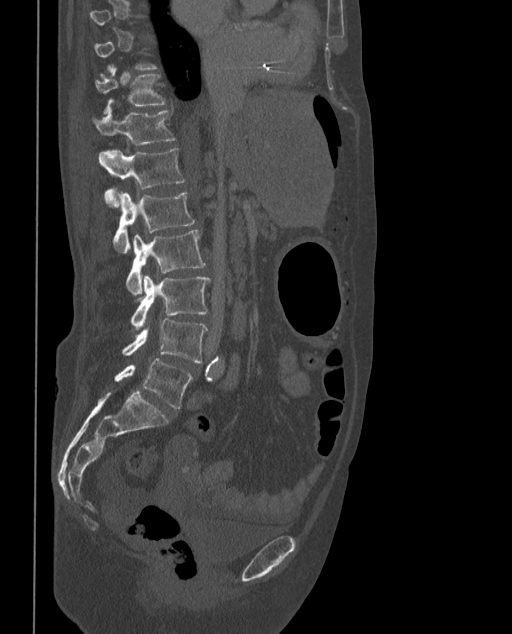
Spine computed tomography — sagittal view — W/L 1800/400 HU
Bounding boxes as [x1, y1, x2, y2] in pixel coordinates.
A vertebra gets a box only on the slices from the first to the last where its cross-section is at least a third of its largest; on a slice outside that range it gets none.
These labels give the spine a sixth lumbar vertebra, L6, below L5.
Vertebra bounding boxes:
- L6: [114, 358, 192, 409]
- L5: [122, 319, 207, 362]
- L4: [130, 275, 210, 330]
- L3: [126, 229, 205, 295]
- L2: [112, 191, 195, 252]
- L1: [99, 148, 184, 208]
- T12: [93, 110, 176, 146]
- T11: [96, 65, 165, 113]